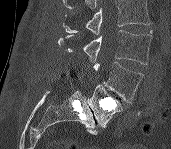

CT spine — sagittal view
Boxes: x1:y1:x2:y2 in pixels.
A vertebra cut off by the top edge of the scan is not labeled and has no box.
Vertebra bounding boxes:
- L3: 58:30:153:64
- L4: 93:62:144:102
- L5: 87:85:122:127